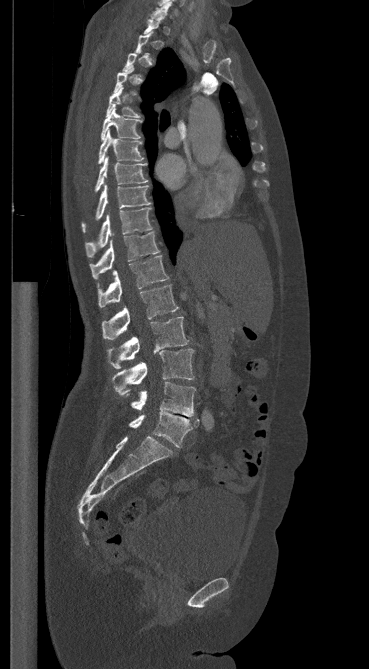

CT. sagittal view. bone-window reconstruction. 369x669 px
Columns x1, y1, x2, y2 give each box's top-left and bottom-right pixels.
Not every vertebra on this slice has a box: a vertebra is boxed only from the first to the last slice where its cross-section is at least a third of its largest, and this slice is outside that range for at least one of them.
| vertebra | x1 | y1 | x2 | y2 |
|---|---|---|---|---|
| C7 | 151 | 2 | 171 | 18 |
| T5 | 106 | 87 | 140 | 117 |
| T6 | 101 | 108 | 142 | 140 |
| T7 | 98 | 132 | 143 | 164 |
| T8 | 95 | 157 | 147 | 191 |
| T9 | 81 | 185 | 150 | 231 |
| T10 | 85 | 208 | 151 | 257 |
| T11 | 90 | 232 | 159 | 279 |
| T12 | 98 | 256 | 168 | 307 |
| L1 | 102 | 285 | 178 | 339 |
| L2 | 107 | 317 | 188 | 368 |
| L3 | 112 | 349 | 194 | 394 |
| L4 | 131 | 382 | 195 | 416 |
| L5 | 129 | 411 | 199 | 447 |